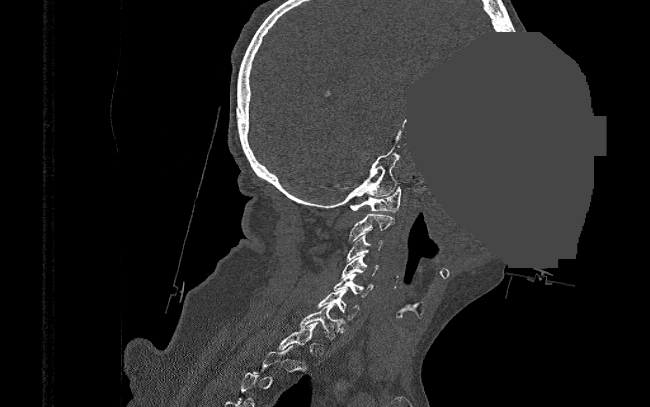

CT · sagittal view · W/L 1800/400 HU · part of the image has been replaced by a constant value. Boxes: x1 y1 x2 y2 (pixel coords, space-separated).
A vertebra is boxed only from the first to the last slice where its cross-section is at least a third of its largest; slices outside that range leave it without a box.
C1: 349 187 400 211
C2: 349 214 394 241
C3: 347 235 382 261
C4: 342 255 379 278
C5: 334 274 372 297
C6: 317 288 360 320
C7: 300 303 344 339